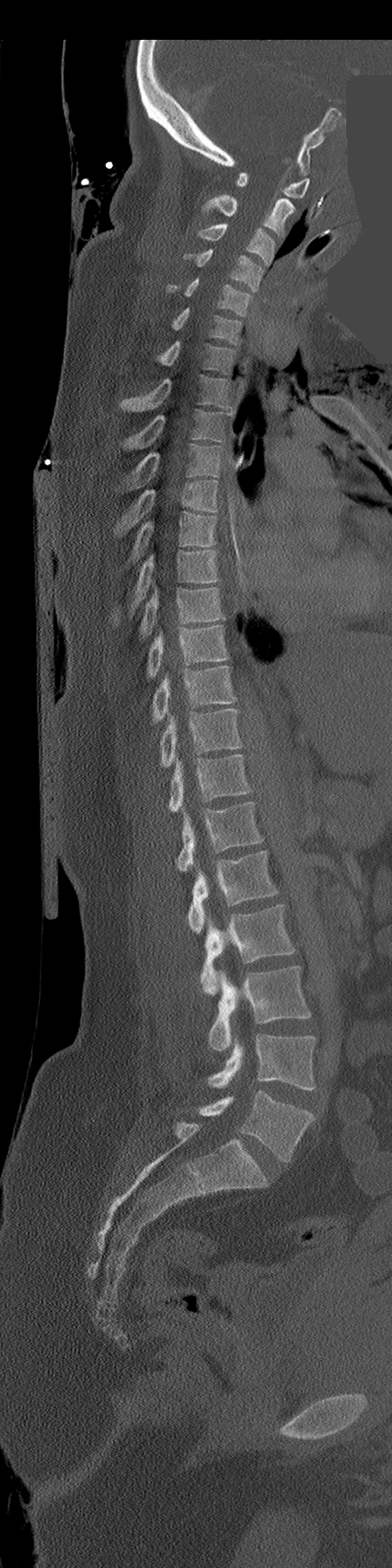
Computed tomography of the spine — sagittal view — an area of the scan was removed and filled with constant pixels
Boxes: x1:y1:x2:y2 in pixels.
L5: 198:1091:314:1162
L4: 208:1034:315:1090
L3: 208:965:310:1050
L2: 201:904:295:993
L1: 187:851:278:933
T12: 175:802:263:871
T11: 168:754:251:812
T10: 161:708:241:766
T9: 153:667:236:723
T8: 147:625:228:678
T7: 139:586:224:637
T6: 113:550:219:624
T5: 130:512:217:561
T4: 115:480:219:534
T3: 128:444:221:487
T2: 122:410:228:449
T1: 120:375:234:413
C7: 158:341:236:374
C6: 171:309:241:345
C5: 168:279:251:315
C4: 183:249:264:291
C3: 197:224:276:266
C2: 202:194:295:237
C1: 236:171:309:198